CT, spine; 409 mm across the image; sagittal reformat; bone-window reconstruction; 512x700 px
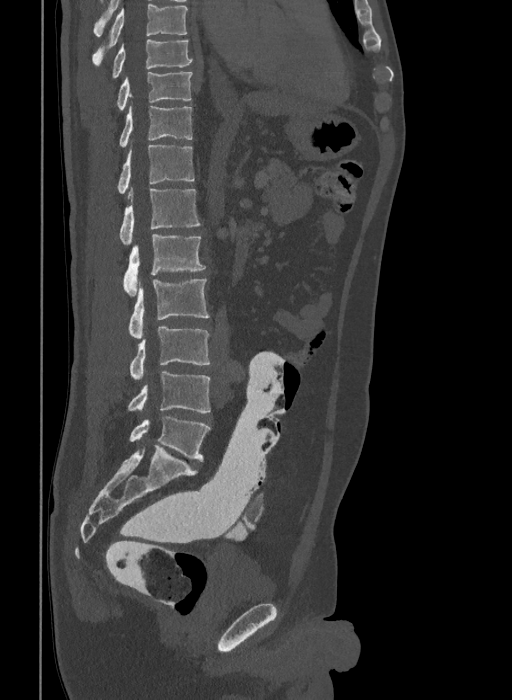 Each box is [x1, y1, x2, y2] in pixels: top-left corner, then bottom-right corner.
In this scan, the topmost labeled vertebra is T9 and the lowest is L6.
In these labels the spine has an L6, a sixth lumbar vertebra below L5.
{"vertebrae":{"T9":[111,39,192,79],"T10":[116,71,193,111],"T11":[119,106,192,147],"T12":[116,145,194,198],"L1":[119,189,200,245],"L2":[123,234,205,295],"L3":[129,279,209,338],"L4":[130,327,210,379],"L5":[128,371,210,412],"L6":[129,416,210,461]}}